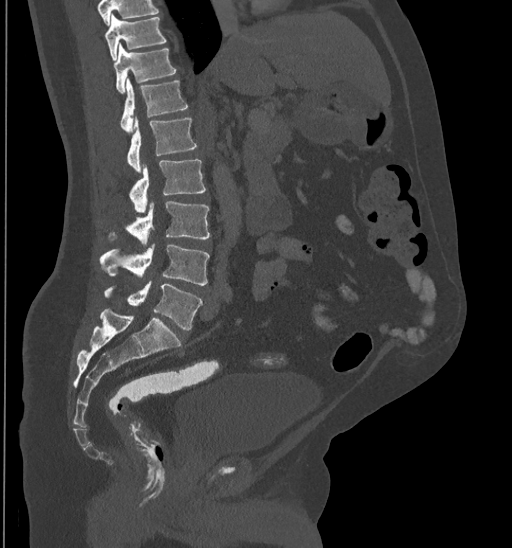
Spine CT · sagittal reformat · bone-window reconstruction · 512x548 px · image width 435 mm
A vertebra cut off by the top edge of the scan is not labeled and has no box.
<vertebrae><v name="T10" x1="105" y1="15" x2="166" y2="59"/><v name="T11" x1="114" y1="43" x2="175" y2="93"/><v name="T12" x1="119" y1="78" x2="187" y2="132"/><v name="L1" x1="127" y1="119" x2="197" y2="173"/><v name="L2" x1="129" y1="159" x2="206" y2="213"/><v name="L3" x1="109" y1="201" x2="210" y2="245"/><v name="L4" x1="99" y1="244" x2="210" y2="285"/><v name="L5" x1="103" y1="281" x2="201" y2="331"/></vertebrae>